CT; sagittal plane, index 239; bone-window reconstruction
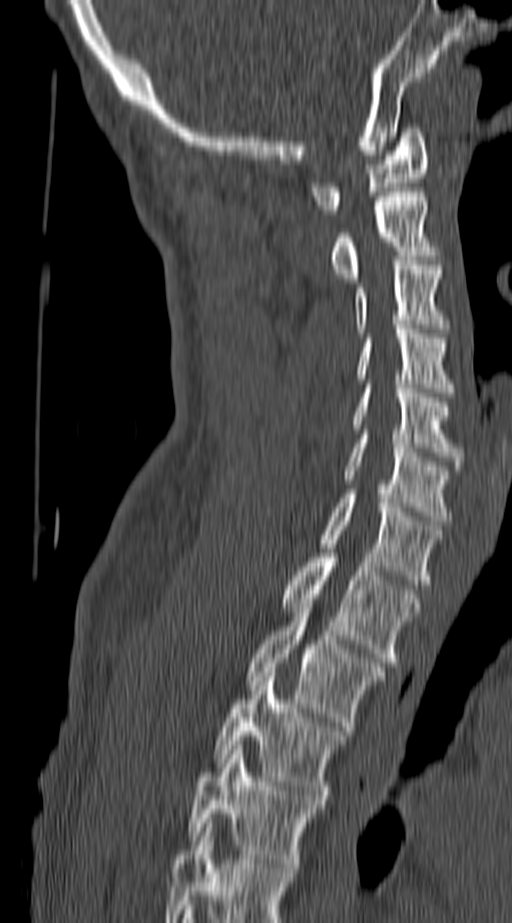

Boxes are (x1, y1, x2, y2) in pixels.
In this scan, the topmost labeled vertebra is C1 and the lowest is T4.
C1: (312, 128, 428, 214)
C2: (330, 192, 439, 282)
C3: (355, 261, 447, 333)
C4: (356, 329, 454, 397)
C5: (352, 384, 465, 465)
C6: (341, 434, 450, 525)
C7: (320, 494, 443, 584)
T1: (279, 553, 421, 666)
T2: (246, 613, 384, 730)
T3: (213, 672, 348, 799)
T4: (188, 745, 326, 868)